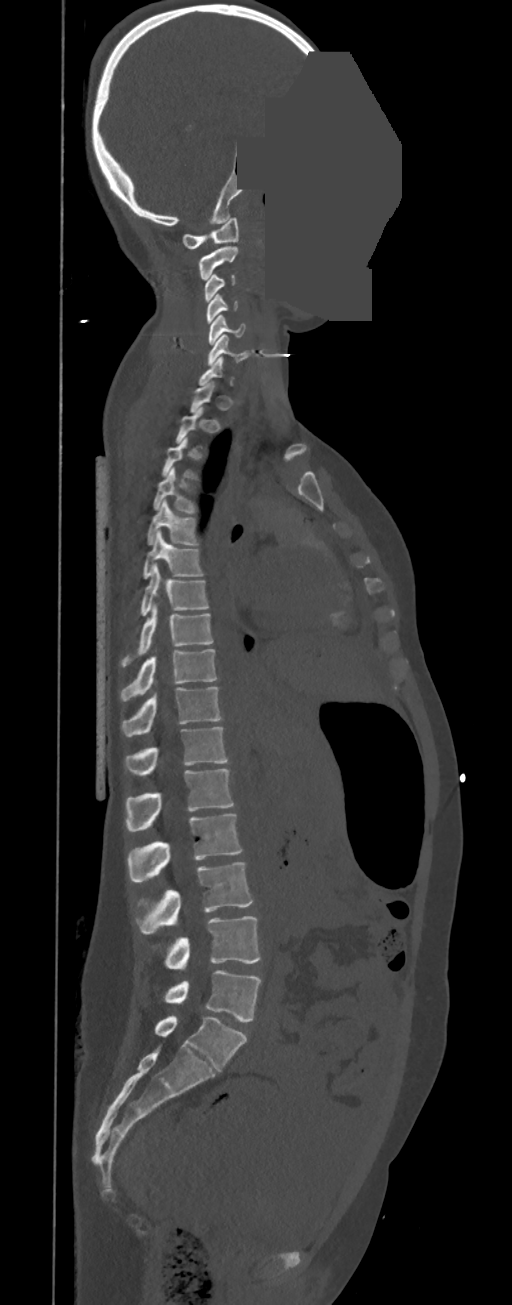

Spine computed tomography — sagittal reformat — bone-window reconstruction — some of the image was removed or blocked out with constant pixels

Boxes: x1 y1 x2 y2 (pixel coords, space-separated). A vertebra gets a box only on the slices from the first to the last where its cross-section is at least a third of its largest; on a slice outside that range it gets none. In these labels the spine has no T12: the thoracic vertebrae end at T11, and L1 comes next. Vertebrae labeled: C1 at 182 217 239 249, C2 at 199 246 238 279, C3 at 205 274 235 302, C4 at 206 294 239 323, C5 at 209 315 246 344, C6 at 207 334 249 365, T4 at 152 466 195 514, T5 at 147 499 199 545, T6 at 143 531 204 578, T7 at 140 565 208 615, T8 at 121 603 212 667, T9 at 120 649 217 701, T10 at 121 686 223 736, T11 at 124 727 228 774, L1 at 126 769 234 831, L2 at 127 814 242 881, L3 at 136 862 253 934, L4 at 164 916 261 969, L5 at 164 970 261 1022.